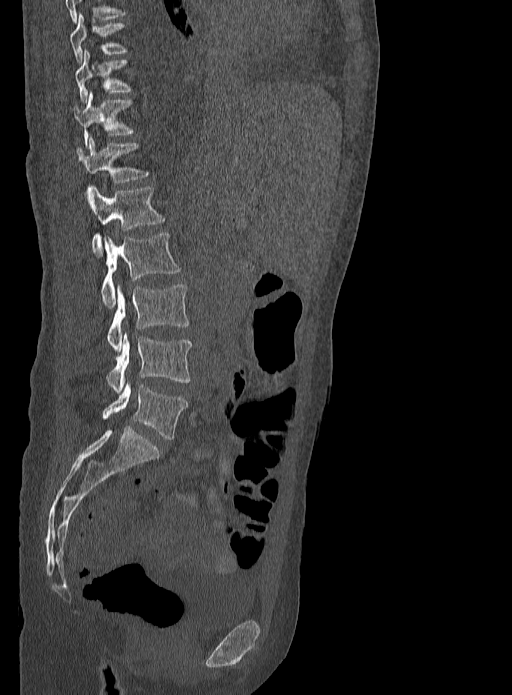 Spine CT; sagittal view; W/L 1800/400 HU; the image spans 333 mm across
Boxes below are [x1, y1, x2, y2] in pixels.
{"vertebrae":{"T9":[69,14,126,64],"T10":[75,49,131,104],"T11":[74,92,132,145],"T12":[77,137,148,182],"L1":[88,186,165,254],"L2":[101,232,180,307],"L3":[107,284,189,351],"L4":[106,332,191,393],"L5":[101,381,188,439]}}